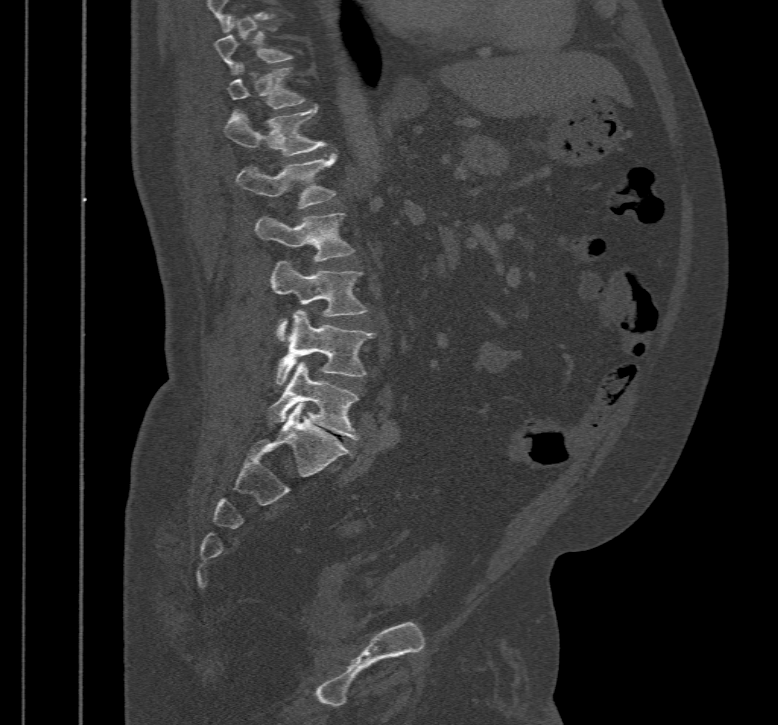 CT — sagittal view — bone-window reconstruction — 778x725 px

Box edges are left/top/right/bottom in pixels.
In this scan, the topmost labeled vertebra is T10 and the lowest is L5.
L5: left=268, top=360, right=359, bottom=439
L4: left=275, top=310, right=374, bottom=384
L3: left=271, top=260, right=367, bottom=341
L2: left=255, top=212, right=353, bottom=261
L1: left=236, top=154, right=335, bottom=208
T12: left=225, top=105, right=326, bottom=156
T11: left=227, top=64, right=305, bottom=109
T10: left=213, top=21, right=292, bottom=73